Computed tomography of the spine. sagittal reformat. 512x943 px. scan covers 11 annotated vertebrae
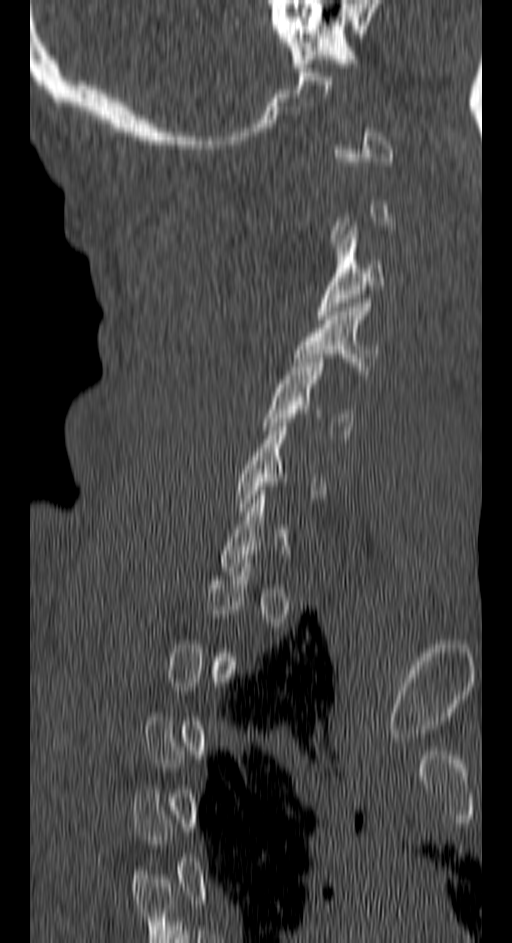 Not every vertebra on this slice has a box: a vertebra is boxed only from the first to the last slice where its cross-section is at least a third of its largest, and this slice is outside that range for at least one of them.
<vertebrae><v name="C5" x1="264" y1="354" x2="355" y2="434"/><v name="C4" x1="294" y1="299" x2="378" y2="374"/><v name="C3" x1="316" y1="226" x2="386" y2="319"/></vertebrae>